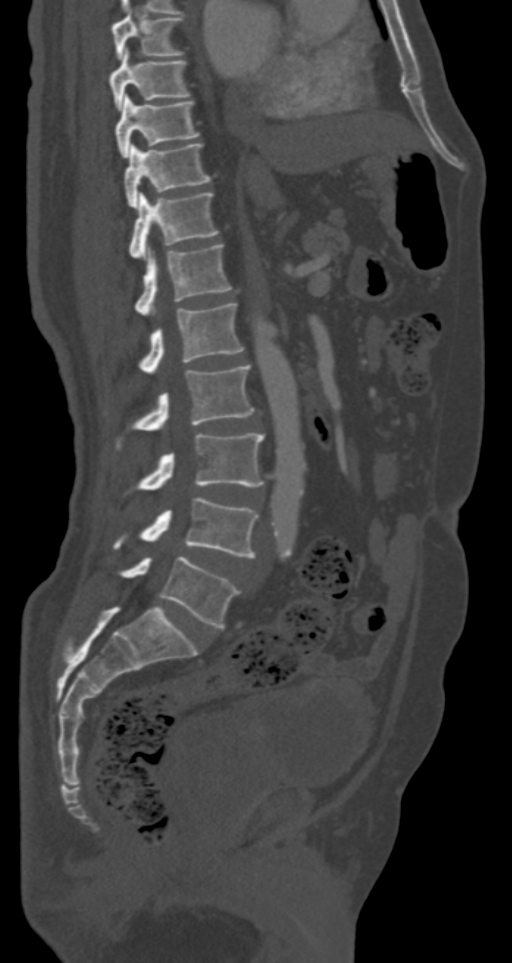

CT spine · sagittal view · 287 mm wide · W/L 1800/400 HU. Box edges are left/top/right/bottom in pixels.
| vertebra | x1 | y1 | x2 | y2 |
|---|---|---|---|---|
| T7 | 112 | 10 | 184 | 59 |
| T8 | 110 | 47 | 191 | 109 |
| T9 | 116 | 94 | 200 | 158 |
| T10 | 124 | 142 | 211 | 208 |
| T11 | 128 | 192 | 218 | 257 |
| T12 | 135 | 244 | 232 | 315 |
| L1 | 139 | 303 | 243 | 374 |
| L2 | 116 | 366 | 254 | 449 |
| L3 | 135 | 433 | 264 | 490 |
| L4 | 112 | 497 | 259 | 557 |
| L5 | 119 | 556 | 239 | 628 |